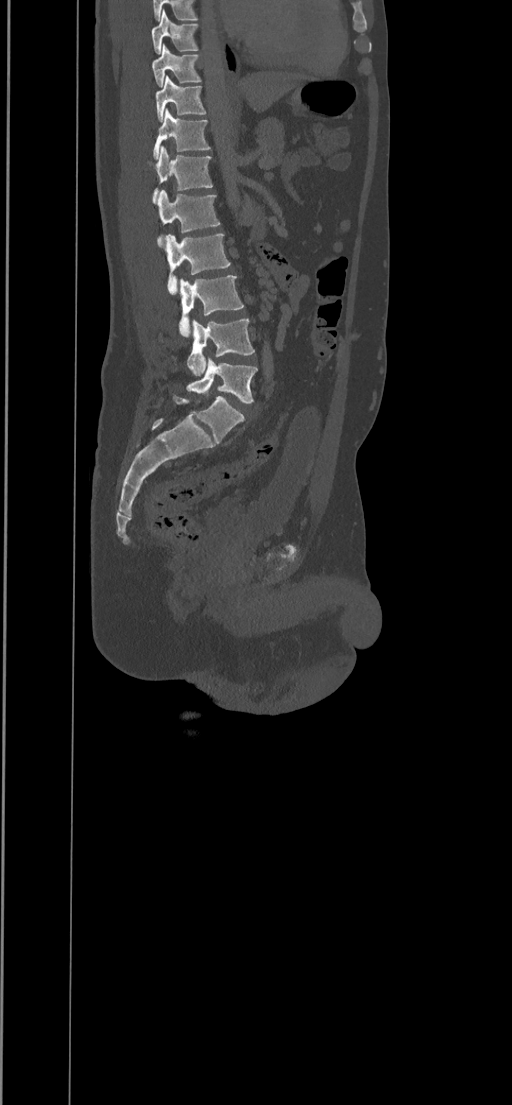 CT, spine · sagittal view · bone-window reconstruction · 434 mm image width · 512x1105 px
<vertebrae><v name="T8" x1="151" y1="10" x2="198" y2="54"/><v name="T9" x1="152" y1="45" x2="201" y2="87"/><v name="T10" x1="156" y1="75" x2="205" y2="122"/><v name="T11" x1="153" y1="108" x2="210" y2="158"/><v name="T12" x1="147" y1="145" x2="212" y2="203"/><v name="L1" x1="157" y1="190" x2="220" y2="247"/><v name="L2" x1="164" y1="234" x2="230" y2="294"/><v name="L3" x1="179" y1="275" x2="243" y2="337"/><v name="L4" x1="187" y1="319" x2="254" y2="376"/><v name="L5" x1="186" y1="358" x2="257" y2="402"/></vertebrae>